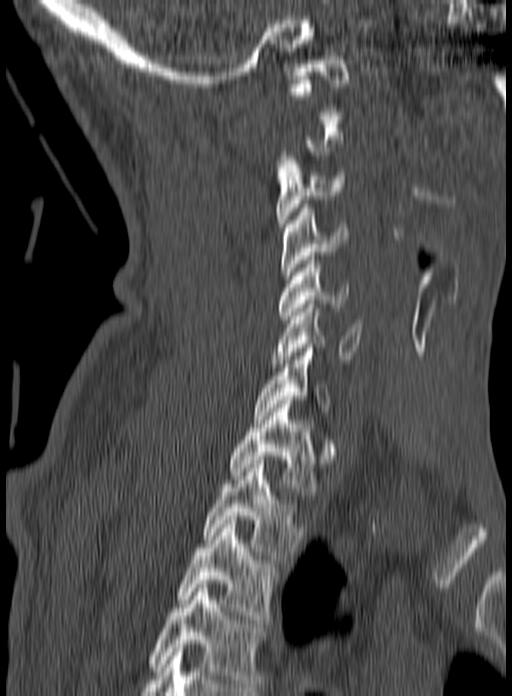 Computed tomography of the spine — sagittal view — 512x696 px

Each box is [x1, y1, x2, y2] in pixels: top-left corner, then bottom-right corner.
A vertebra is boxed only from the first to the last slice where its cross-section is at least a third of its largest; slices outside that range leave it without a box.
The highest labeled vertebra in this scan is C1; the lowest is T3.
{"vertebrae":{"C1":[287,64,349,111],"C3":[275,156,346,231],"C4":[280,204,348,279],"C5":[278,256,349,319],"C6":[270,300,363,367],"C7":[254,344,331,419],"T1":[228,400,319,495],"T2":[203,464,307,559],"T3":[177,516,282,623]}}